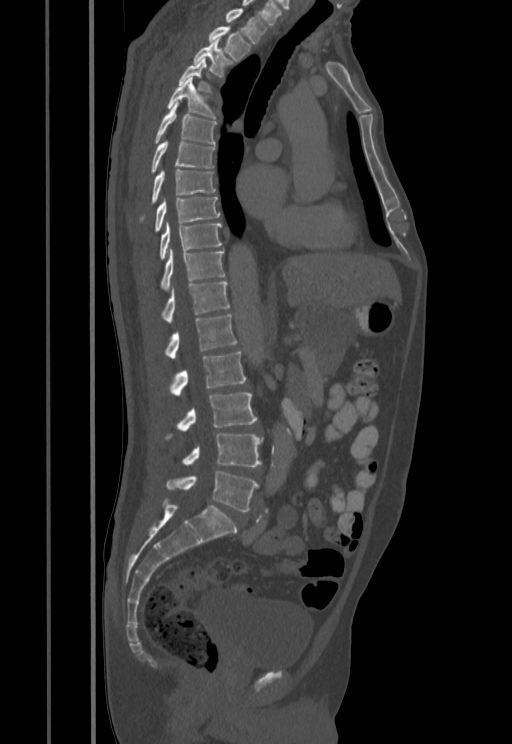

Computed tomography of the spine · 455 mm across the image · sagittal view · Bone window (WL 400, WW 1800)

Boxes are given in columns x1, y1, x2, y2, the pixel coordinates of their top-left and bottom-right corners.
A vertebra is boxed only from the first to the last slice where its cross-section is at least a third of its largest; slices outside that range leave it without a box.
| vertebra | x1 | y1 | x2 | y2 |
|---|---|---|---|---|
| L5 | 166 | 471 | 258 | 511 |
| L4 | 182 | 433 | 262 | 467 |
| L3 | 169 | 392 | 257 | 436 |
| L2 | 171 | 352 | 246 | 396 |
| L1 | 165 | 314 | 236 | 358 |
| T12 | 162 | 281 | 230 | 323 |
| T11 | 161 | 248 | 225 | 290 |
| T10 | 160 | 222 | 222 | 259 |
| T9 | 155 | 197 | 219 | 231 |
| T8 | 152 | 169 | 215 | 202 |
| T7 | 152 | 139 | 215 | 172 |
| T6 | 155 | 104 | 216 | 144 |
| T5 | 168 | 77 | 215 | 119 |
| T3 | 193 | 38 | 233 | 76 |
| T2 | 209 | 27 | 251 | 59 |
| T1 | 226 | 10 | 268 | 44 |